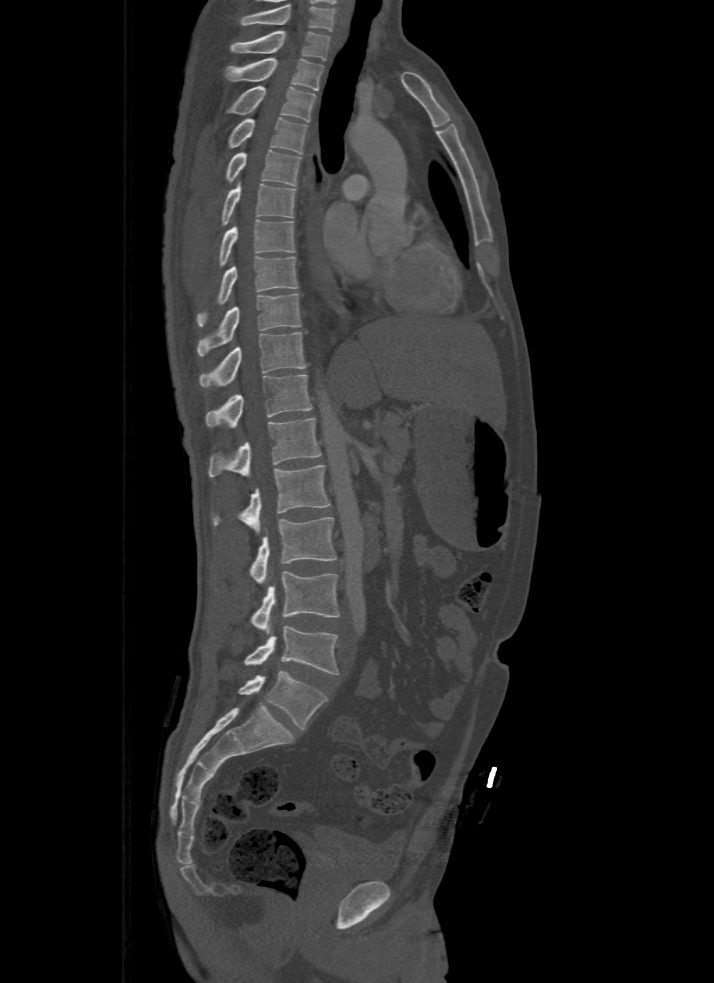 Spine CT — sagittal view — bone-window reconstruction. Boxes are (x1, y1, x2, y2) in pixels. Labels in this scan begin with T1 at the top and end with L5 at the bottom. Vertebrae labeled: L5 at (239, 670, 328, 729), L4 at (244, 626, 339, 674), L3 at (250, 570, 339, 631), L2 at (250, 518, 337, 583), L1 at (212, 465, 331, 533), T12 at (208, 418, 320, 477), T11 at (205, 375, 311, 428), T10 at (199, 332, 306, 387), T9 at (197, 293, 300, 355), T8 at (197, 256, 298, 325), T7 at (219, 220, 295, 265), T6 at (222, 182, 295, 225), T5 at (226, 150, 302, 185), T4 at (229, 118, 307, 154), T3 at (226, 86, 314, 122), T2 at (225, 58, 323, 91), T1 at (230, 30, 331, 59).